Spine computed tomography; sagittal view; W/L 1800/400 HU; 357x619 px
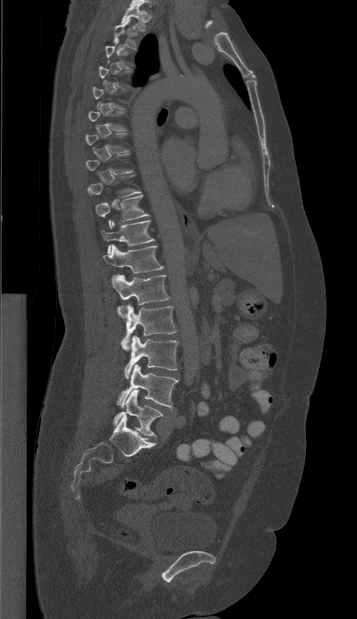
Coordinates as <box>x1,y1,x2,y2</box>.
Not every vertebra on this slice has a box: a vertebra is boxed only from the first to the last slice where its cross-section is at least a third of its largest, and this slice is outside that range for at least one of them.
Vertebra bounding boxes:
- T1: <box>121,2,146,31</box>
- T2: <box>113,19,137,49</box>
- T10: <box>95,195,149,228</box>
- T11: <box>101,220,154,253</box>
- T12: <box>103,244,164,273</box>
- L1: <box>111,274,169,304</box>
- L2: <box>117,304,176,350</box>
- L3: <box>124,335,178,379</box>
- L4: <box>117,364,178,409</box>
- L5: <box>113,390,163,436</box>